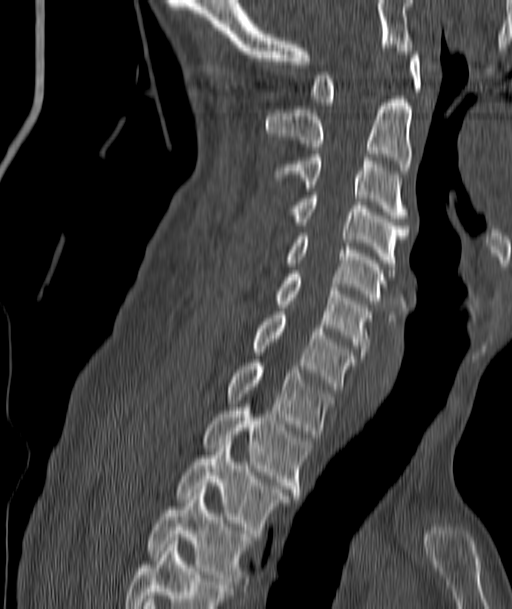

CT spine — sagittal view
Boxes: x1:y1:x2:y2 in pixels.
Vertebra bounding boxes:
- C1: 310:48:422:105
- C2: 266:96:413:170
- C3: 277:154:405:218
- C4: 294:195:408:269
- C5: 286:233:386:304
- C6: 275:274:369:355
- C7: 253:315:356:389
- T1: 228:359:331:437
- T2: 203:404:309:495
- T3: 176:441:287:533
- T4: 149:493:249:584